Spine CT. sagittal plane, index 251. W/L 1800/400 HU
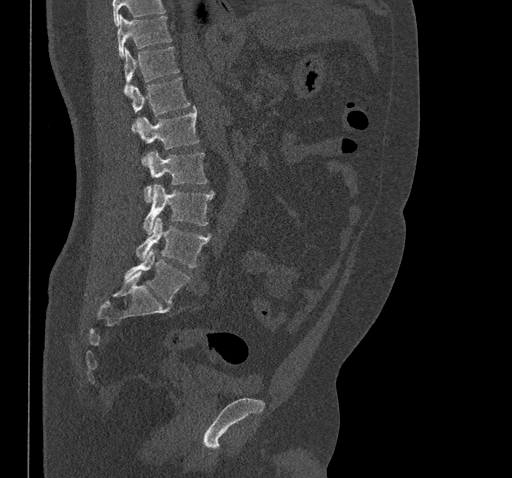 Box edges are left/top/right/bottom in pixels. A vertebra cut off by the top edge of the scan is not labeled and has no box. The labeled vertebrae in this slice are: T10 at left=117, top=16, right=171, bottom=57, T11 at left=123, top=47, right=180, bottom=95, T12 at left=131, top=77, right=189, bottom=128, L1 at left=138, top=107, right=199, bottom=149, L2 at left=143, top=150, right=207, bottom=201, L3 at left=143, top=185, right=214, bottom=234, L4 at left=135, top=218, right=210, bottom=267, L5 at left=124, top=249, right=189, bottom=304.